CT, spine. Sagittal slice 217/512. W/L 1800/400 HU. 512x780 px
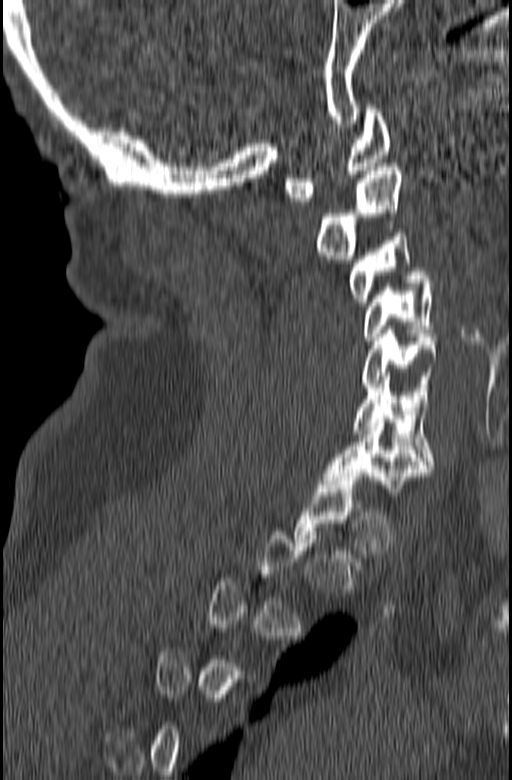

Boxes: x1 y1 x2 y2 (pixel coords, space-separated).
Not every vertebra on this slice has a box: a vertebra is boxed only from the first to the last slice where its cross-section is at least a third of its largest, and this slice is outside that range for at least one of them.
C7: 323 419 433 492
C6: 352 376 434 468
C5: 361 330 437 391
C4: 364 275 435 340
C3: 349 233 424 305
C2: 314 163 403 259
C1: 284 105 391 201